CT, spine — sagittal reformat — Bone window (WL 400, WW 1800) — scan covers 8 annotated vertebrae
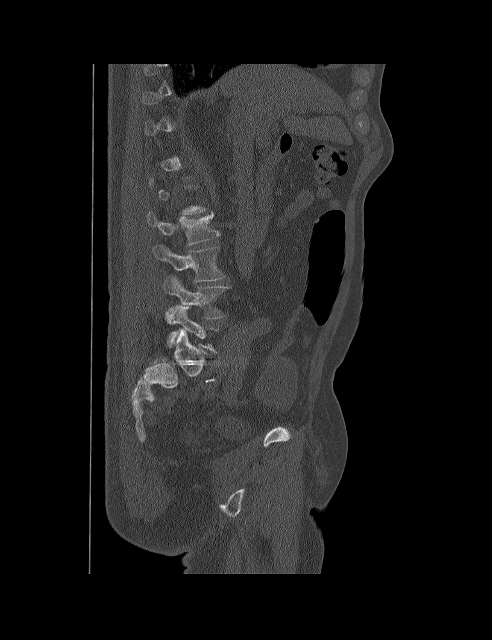

Boxes: x1:y1:x2:y2 in pixels. A vertebra is boxed only from the first to the last slice where its cross-section is at least a third of its largest; slices outside that range leave it without a box. 4 vertebrae labeled — L5 at 167:306:218:351; L4 at 163:276:230:323; L3 at 154:244:225:281; L2 at 146:212:220:245.